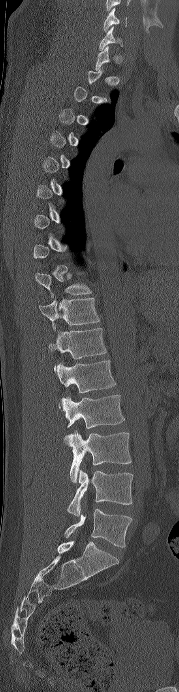

CT spine — the image is 179 mm wide — sagittal view — 179x692 px
A vertebra is boxed only from the first to the last slice where its cross-section is at least a third of its largest; slices outside that range leave it without a box.
<vertebrae><v name="C6" x1="103" y1="8" x2="127" y2="31"/><v name="C7" x1="99" y1="26" x2="122" y2="50"/><v name="T10" x1="35" y1="272" x2="92" y2="297"/><v name="T11" x1="39" y1="298" x2="99" y2="330"/><v name="T12" x1="48" y1="328" x2="107" y2="369"/><v name="L1" x1="56" y1="360" x2="115" y2="407"/><v name="L2" x1="61" y1="395" x2="124" y2="437"/><v name="L3" x1="68" y1="430" x2="131" y2="482"/><v name="L4" x1="67" y1="469" x2="133" y2="515"/><v name="L5" x1="65" y1="509" x2="132" y2="547"/></vertebrae>